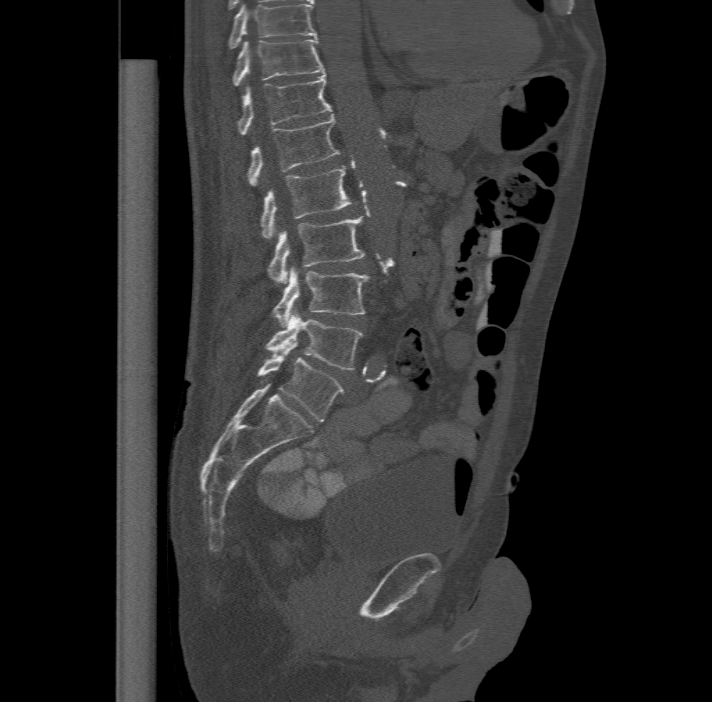

Computed tomography of the spine · 477 mm wide · sagittal reformat
Labels in this scan begin with T11 at the top and end with L6 at the bottom.
These labels give the spine a sixth lumbar vertebra, L6, below L5.
<vertebrae><v name="T11" x1="232" y1="37" x2="324" y2="85"/><v name="T12" x1="238" y1="72" x2="331" y2="133"/><v name="L1" x1="248" y1="113" x2="340" y2="185"/><v name="L2" x1="261" y1="164" x2="354" y2="239"/><v name="L3" x1="267" y1="216" x2="365" y2="285"/><v name="L4" x1="273" y1="265" x2="369" y2="326"/><v name="L5" x1="266" y1="307" x2="362" y2="370"/><v name="L6" x1="259" y1="341" x2="344" y2="421"/></vertebrae>